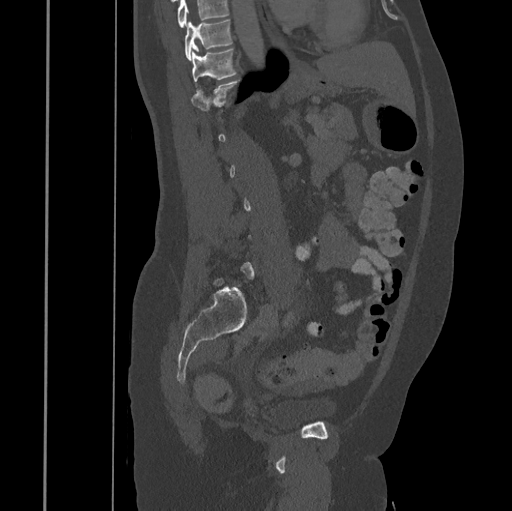
Spine computed tomography. sagittal view. W/L 1800/400 HU
Columns x1, y1, x2, y2 give each box's top-left and bottom-right pixels.
A vertebra is boxed only from the first to the last slice where its cross-section is at least a third of its largest; slices outside that range leave it without a box.
A vertebra cut off by the top edge of the scan is not labeled and has no box.
| vertebra | x1 | y1 | x2 | y2 |
|---|---|---|---|---|
| T11 | 191 | 48 | 236 | 82 |
| T10 | 184 | 20 | 232 | 60 |